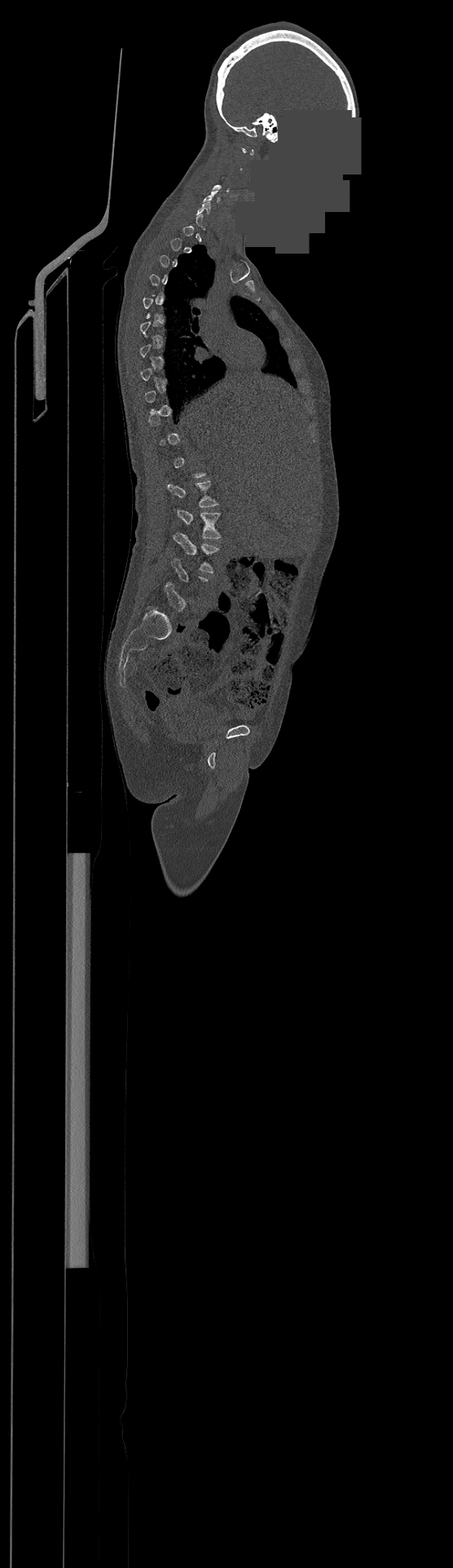
CT spine · sagittal view · bone-window reconstruction · image 500 mm wide · 453x1568 px · some of the image was removed or blocked out with constant pixels. Each row gives a vertebra's box as x1, y1, x2, y2 in pixels: top-left corner, then bottom-right corner.
A vertebra gets a box only on the slices from the first to the last where its cross-section is at least a third of its largest; on a slice outside that range it gets none.
| vertebra | x1 | y1 | x2 | y2 |
|---|---|---|---|---|
| L3 | 174 | 532 | 219 | 573 |
| L2 | 174 | 507 | 221 | 538 |
| L1 | 167 | 481 | 218 | 507 |
| C6 | 196 | 201 | 210 | 214 |
| C5 | 202 | 190 | 219 | 203 |